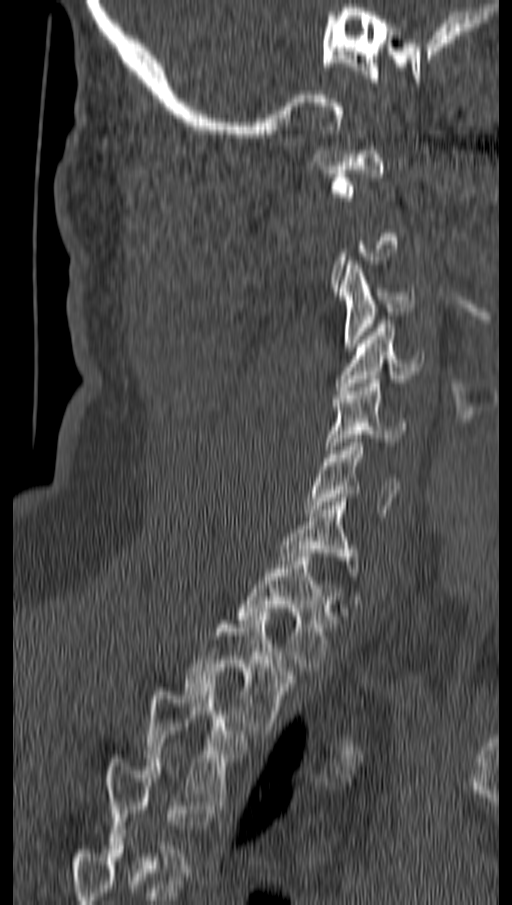 Spine CT; sagittal view; Bone window (WL 400, WW 1800); 512x905 px
Each box is [x1, y1, x2, y2] in pixels: top-left corner, then bottom-right corner.
Each vertebra is boxed only on the slices from the first to the last where its cross-section reaches a third of its largest, so a slice outside that range leaves it unboxed.
Labels in this scan begin with C1 at the top and end with T4 at the bottom.
{"vertebrae":{"T4":[105,759,212,872],"T3":[146,683,247,801],"T2":[184,616,297,734],"T1":[238,557,335,671],"C7":[279,498,357,576],"C6":[304,439,400,513],"C5":[327,379,405,453],"C4":[336,324,423,390],"C3":[339,261,414,351],"C1":[312,146,386,200]}}